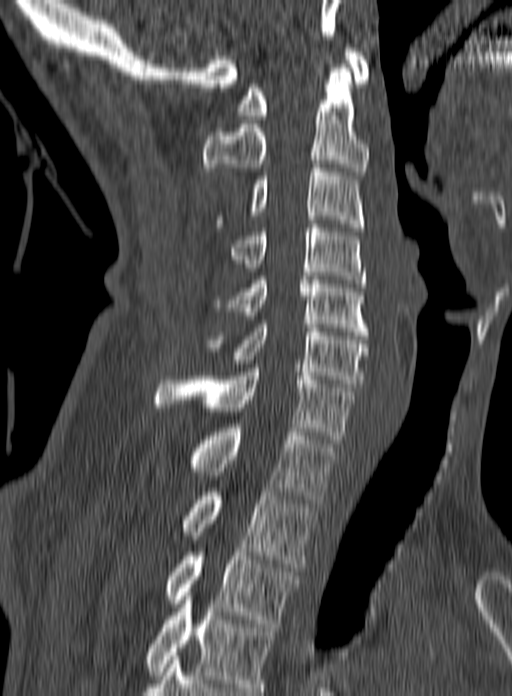
CT, spine · sagittal view · 512x696 px

This scan's labels start at C1 at the top and end at T3 at the bottom.
<vertebrae><v name="C1" x1="237" y1="48" x2="370" y2="119"/><v name="C2" x1="203" y1="64" x2="368" y2="175"/><v name="C3" x1="217" y1="164" x2="364" y2="231"/><v name="C4" x1="230" y1="224" x2="366" y2="287"/><v name="C5" x1="213" y1="280" x2="368" y2="335"/><v name="C6" x1="203" y1="320" x2="368" y2="387"/><v name="C7" x1="155" y1="368" x2="355" y2="443"/><v name="T1" x1="188" y1="428" x2="336" y2="503"/><v name="T2" x1="184" y1="492" x2="314" y2="567"/><v name="T3" x1="164" y1="552" x2="299" y2="627"/></vertebrae>